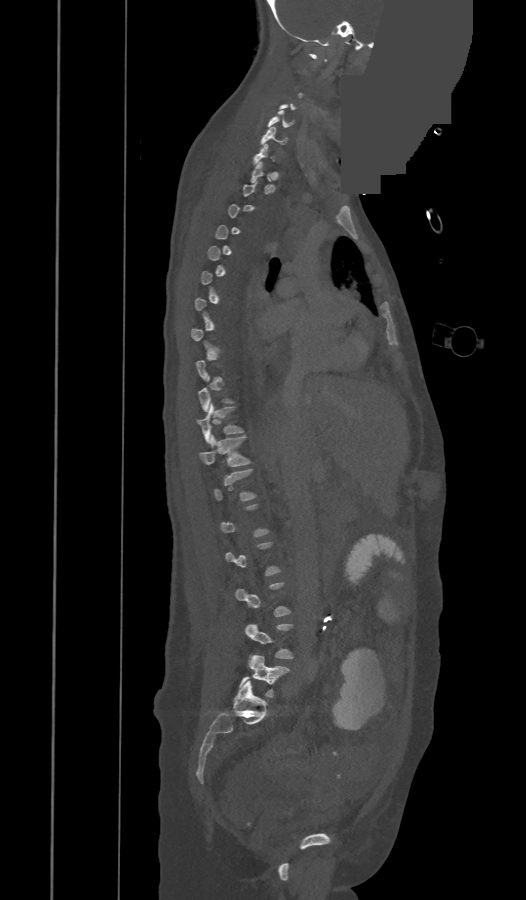 Spine computed tomography · image width 473 mm · sagittal view · a uniform gray block covers part of the image
Each box given as x1,y1,x2,y2.
Each vertebra is boxed only on the slices from the first to the last where its cross-section reaches a third of its largest, so a slice outside that range leaves it unboxed.
L5: x1=240, y1=655, x2=288, y2=697
L4: x1=244, y1=623, x2=293, y2=658
T12: x1=200, y1=436, x2=250, y2=466
T11: x1=198, y1=403, x2=242, y2=442
C7: x1=254, y1=143, x2=274, y2=164
C6: x1=261, y1=127, x2=286, y2=144
C5: x1=268, y1=110, x2=293, y2=127